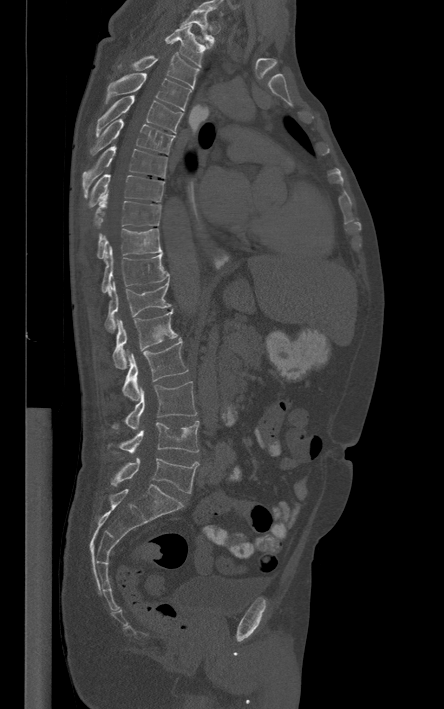
Spine computed tomography · sagittal view. Each box given as x1,y1,x2,y2. This scan's labels start at T1 at the top and end at L5 at the bottom. Vertebrae labeled: T1 at x1=180, y1=10, x2=213, y2=46, T2 at x1=165, y1=24, x2=209, y2=66, T3 at x1=131, y1=53, x2=199, y2=88, T4 at x1=107, y1=73, x2=191, y2=110, T5 at x1=95, y1=94, x2=182, y2=136, T6 at x1=91, y1=119, x2=175, y2=154, T7 at x1=82, y1=145, x2=167, y2=193, T8 at x1=89, y1=174, x2=164, y2=207, T9 at x1=94, y1=193, x2=161, y2=226, T10 at x1=97, y1=228, x2=162, y2=259, T11 at x1=101, y1=246, x2=169, y2=294, T12 at x1=104, y1=281, x2=170, y2=332, L1 at x1=113, y1=310, x2=177, y2=369, L2 at x1=122, y1=339, x2=188, y2=400, L3 at x1=113, y1=382, x2=196, y2=429, L4 at x1=119, y1=421, x2=198, y2=453, L5 at x1=111, y1=457, x2=199, y2=493.